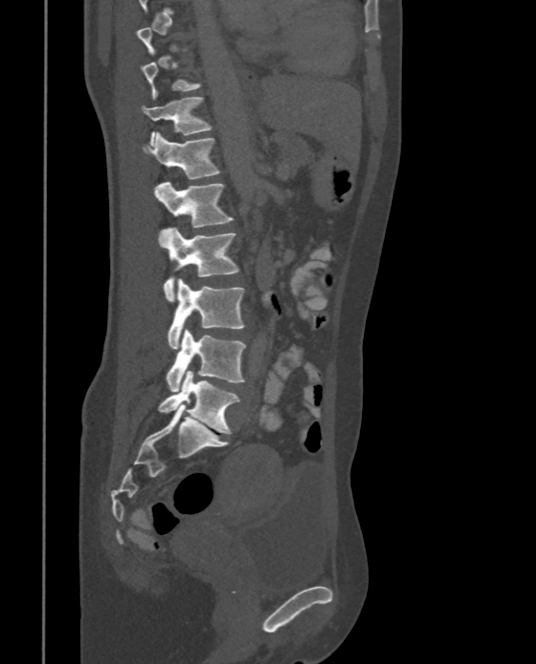
CT spine. sagittal view
Boxes: x1 y1 x2 y2 (pixel coords, space-separated).
A vertebra gets a box only on the slices from the first to the last where its cross-section is at least a third of its largest; on a slice outside that range it gets none.
Vertebra bounding boxes:
- T11: 141 97 211 146
- T12: 142 133 220 179
- L1: 156 181 233 227
- L2: 158 227 239 302
- L3: 167 278 245 349
- L4: 165 328 245 392
- L5: 158 370 239 433